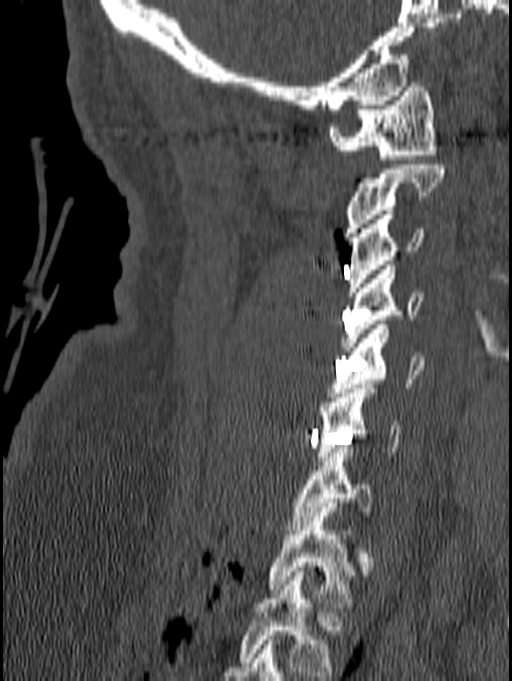

Spine CT; sagittal view; Bone window (WL 400, WW 1800); 512x681 px; image 140 mm wide
In this scan, the topmost labeled vertebra is C1 and the lowest is T1.
<vertebrae><v name="T1" x1="267" y1="507" x2="355" y2="602"/><v name="C7" x1="284" y1="443" x2="373" y2="534"/><v name="C6" x1="316" y1="384" x2="403" y2="461"/><v name="C5" x1="329" y1="325" x2="425" y2="397"/><v name="C4" x1="341" y1="265" x2="422" y2="351"/><v name="C3" x1="348" y1="210" x2="425" y2="296"/><v name="C2" x1="343" y1="165" x2="446" y2="237"/><v name="C1" x1="328" y1="82" x2="436" y2="159"/></vertebrae>